CT, spine. Sagittal slice 245/512. 461 mm wide. 512x506 px. 8 vertebrae labeled in this scan
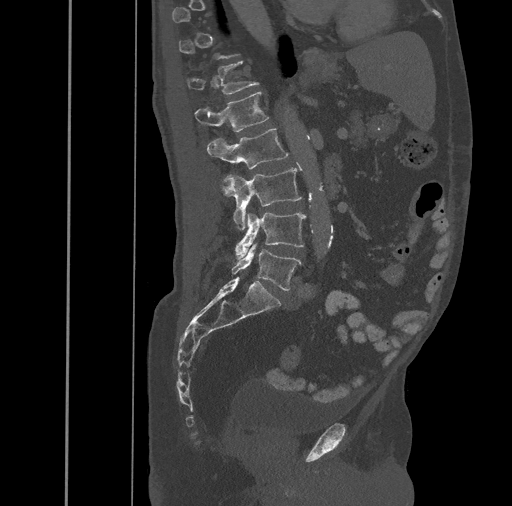
Bounding boxes as [x1, y1, x2, y2] in pixel coordinates. Each vertebra is boxed only on the slices from the first to the last where its cross-section reaches a third of its largest, so a slice outside that range leaves it unboxed. The labeled vertebrae in this slice are: T12 at [186, 61, 259, 94], L1 at [195, 92, 269, 132], L2 at [207, 128, 288, 168], L3 at [223, 168, 302, 228], L4 at [235, 213, 306, 258], L5 at [232, 244, 302, 291].